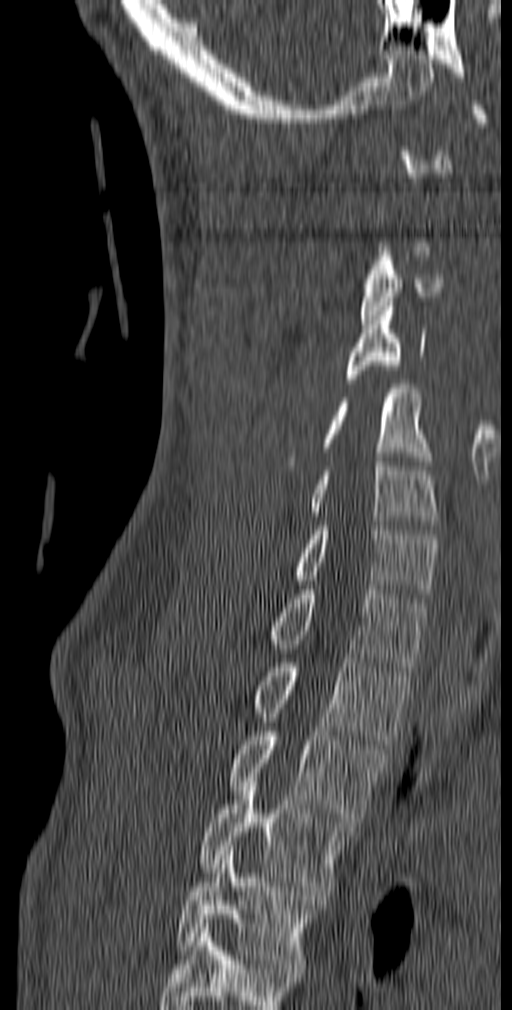

CT spine; sagittal view; Bone window (WL 400, WW 1800)

Each vertebra is boxed only on the slices from the first to the last where its cross-section reaches a third of its largest, so a slice outside that range leaves it unboxed.
This scan's labels start at C1 at the top and end at T5 at the bottom.
<vertebrae><v name="C3" x1="360" y1="251" x2="443" y2="324"/><v name="C4" x1="346" y1="302" x2="426" y2="383"/><v name="C5" x1="286" y1="384" x2="432" y2="470"/><v name="C6" x1="310" y1="457" x2="439" y2="529"/><v name="C7" x1="295" y1="521" x2="438" y2="598"/><v name="T1" x1="268" y1="585" x2="427" y2="671"/><v name="T2" x1="254" y1="658" x2="411" y2="744"/><v name="T3" x1="228" y1="727" x2="386" y2="822"/><v name="T4" x1="199" y1="782" x2="356" y2="900"/><v name="T5" x1="175" y1="846" x2="319" y2="968"/></vertebrae>